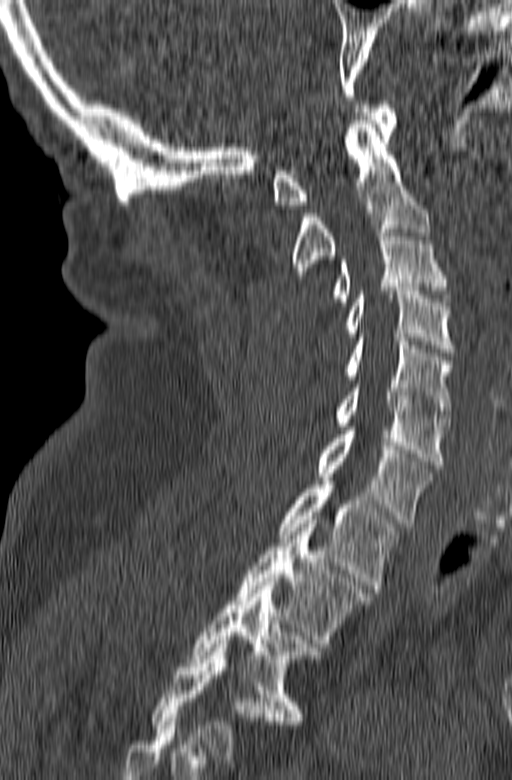
Spine computed tomography; sagittal reformat; the image is 165 mm wide; bone-window reconstruction
Boxes are given in columns x1, y1, x2, y2, the pixel coordinates of their top-left and bottom-right corners.
This scan's labels start at C1 at the top and end at T3 at the bottom.
| vertebra | x1 | y1 | x2 | y2 |
|---|---|---|---|---|
| T3 | 188 | 578 | 322 | 724 |
| T2 | 235 | 520 | 370 | 647 |
| T1 | 277 | 481 | 400 | 592 |
| C7 | 317 | 427 | 432 | 527 |
| C6 | 333 | 380 | 450 | 468 |
| C5 | 342 | 337 | 453 | 418 |
| C4 | 342 | 287 | 453 | 352 |
| C3 | 330 | 229 | 450 | 305 |
| C2 | 290 | 120 | 430 | 278 |
| C1 | 271 | 101 | 397 | 208 |